Spine CT; sagittal reformat; W/L 1800/400 HU; 512x1190 px; a uniform gray block covers part of the image
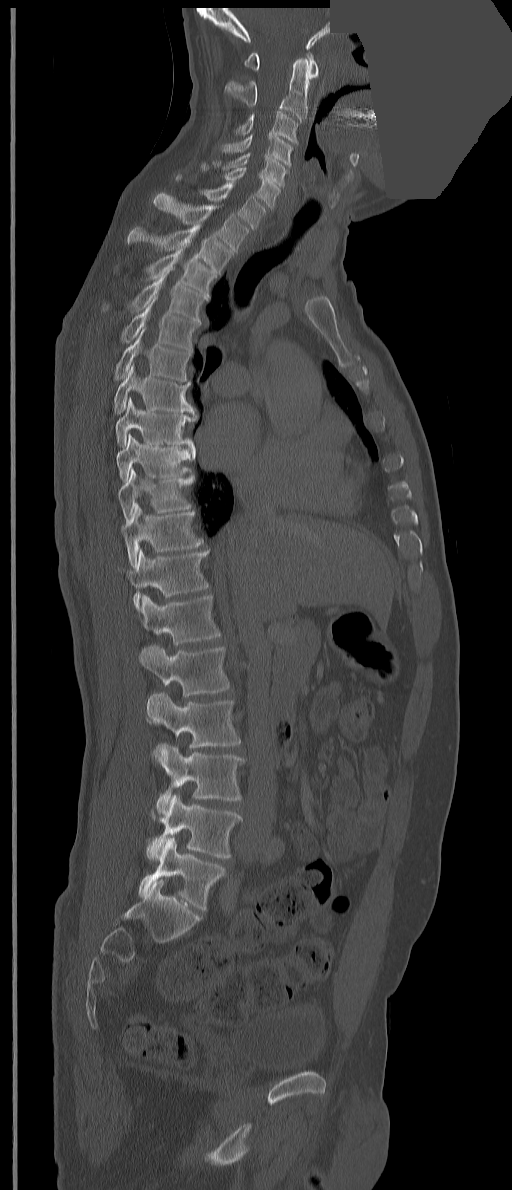

Columns x1, y1, x2, y2 give each box's top-left and bottom-right pixels.
The labels name an extra thoracic vertebra here, T13, which comes after T12 and before L1.
| vertebra | x1 | y1 | x2 | y2 |
|---|---|---|---|---|
| C1 | 244 | 52 | 318 | 78 |
| C2 | 224 | 57 | 309 | 123 |
| C3 | 236 | 111 | 298 | 144 |
| C4 | 222 | 132 | 292 | 167 |
| C5 | 213 | 152 | 287 | 187 |
| C6 | 201 | 162 | 280 | 209 |
| C7 | 176 | 174 | 266 | 229 |
| T1 | 154 | 192 | 248 | 254 |
| T2 | 127 | 223 | 233 | 274 |
| T3 | 146 | 242 | 216 | 298 |
| T4 | 102 | 266 | 208 | 323 |
| T5 | 121 | 295 | 200 | 352 |
| T6 | 114 | 327 | 190 | 381 |
| T7 | 113 | 363 | 195 | 414 |
| T8 | 115 | 397 | 196 | 459 |
| T9 | 117 | 433 | 192 | 480 |
| T10 | 117 | 468 | 195 | 520 |
| T11 | 121 | 503 | 203 | 568 |
| T12 | 118 | 549 | 209 | 611 |
| T13 | 141 | 594 | 221 | 645 |
| L1 | 139 | 645 | 230 | 696 |
| L2 | 146 | 692 | 240 | 747 |
| L3 | 152 | 743 | 244 | 813 |
| L4 | 146 | 794 | 241 | 860 |
| L5 | 139 | 837 | 225 | 911 |